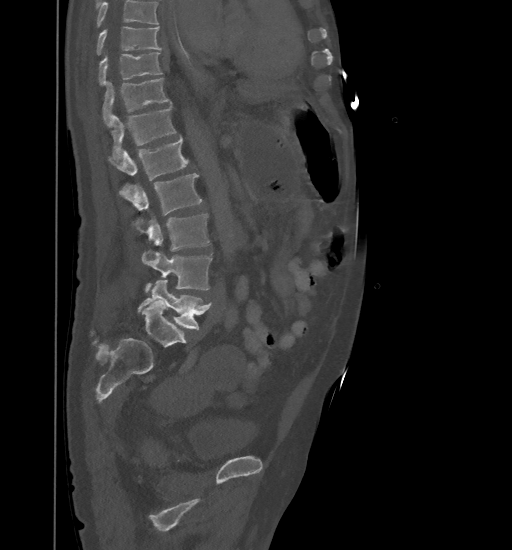
Spine CT; sagittal view; 512x550 px
Boxes: x1 y1 x2 y2 (pixel coords, space-separated). Where the top of the scan cuts through a vertebra, that vertebra gets no label or box. 9 vertebrae labeled — L5 at 138 280 212 330; L4 at 143 251 212 292; L3 at 141 213 209 261; L2 at 119 173 202 230; L1 at 108 136 194 180; T12 at 111 105 175 157; T11 at 103 78 170 124; T10 at 99 52 162 85; T9 at 96 27 162 55.